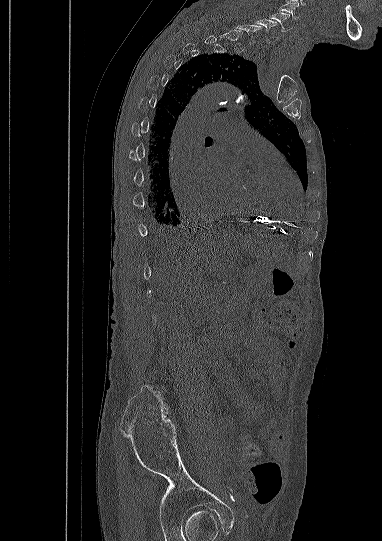

Spine CT. sagittal view

Each vertebra maps to its box as [x1, y1, x2, y2], the pixel coordinates of its top-left and bottom-right corners.
Not every vertebra on this slice has a box: a vertebra is boxed only from the first to the last slice where its cross-section is at least a third of its largest, and this slice is outside that range for at least one of them.
The highest labeled vertebra in this scan is C5; the lowest is L5.
{"vertebrae":{"C5":[269,12,292,31],"C6":[256,19,277,41]}}